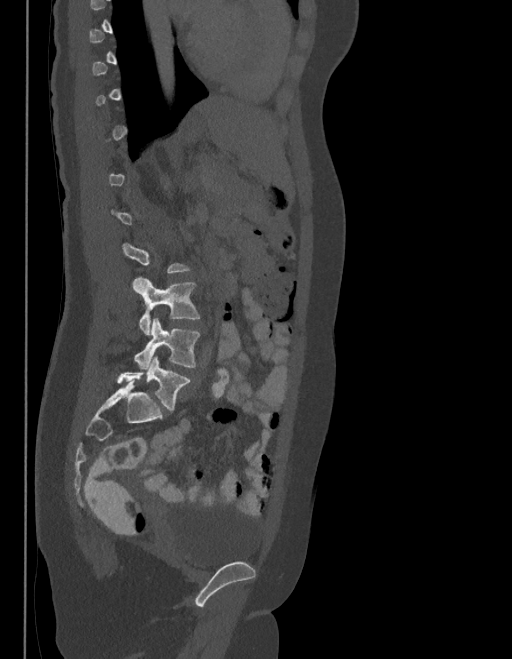 CT, spine; sagittal view
A vertebra is boxed only from the first to the last slice where its cross-section is at least a third of its largest; slices outside that range leave it without a box.
The labels name a sixth lumbar vertebra for this spine: L6, after L5.
<vertebrae><v name="L4" x1="133" y1="278" x2="200" y2="335"/><v name="L5" x1="135" y1="318" x2="200" y2="368"/><v name="L6" x1="117" y1="357" x2="189" y2="409"/></vertebrae>